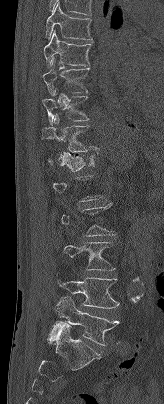
CT, spine; sagittal view; 164x404 px

Boxes: x1:y1:x2:y2 in pixels.
Each vertebra is boxed only on the slices from the first to the last where its cross-section reaches a third of its largest, so a slice outside that range leaves it unboxed.
T7: 45:1:92:39
T8: 43:30:91:67
T9: 42:57:89:95
T10: 42:88:89:124
T11: 42:114:99:152
T12: 49:151:97:171
L3: 63:242:115:270
L4: 56:278:119:308
L5: 51:296:120:345